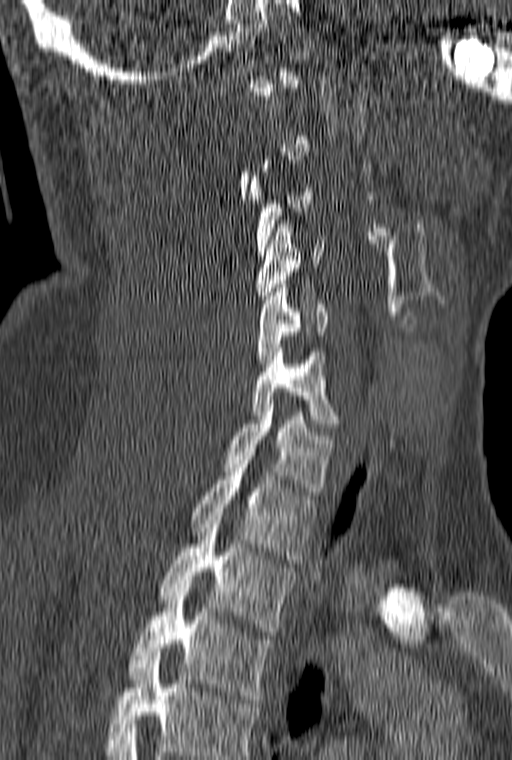

CT spine — sagittal view — W/L 1800/400 HU — the image is 160 mm wide
Box values are [left, top, right, bottom] in pixels.
A vertebra is boxed only from the first to the last slice where its cross-section is at least a third of its largest; slices outside that range leave it without a box.
In this scan, the topmost labeled vertebra is C1 and the lowest is T3.
{"vertebrae":{"C3":[249,176,312,255],"C4":[257,220,323,303],"C5":[257,284,327,367],"C6":[251,344,339,427],"C7":[225,400,333,495],"T1":[190,464,317,559],"T2":[158,520,295,635],"T3":[129,588,272,703]}}